Computed tomography of the spine — sagittal reformat — bone-window reconstruction
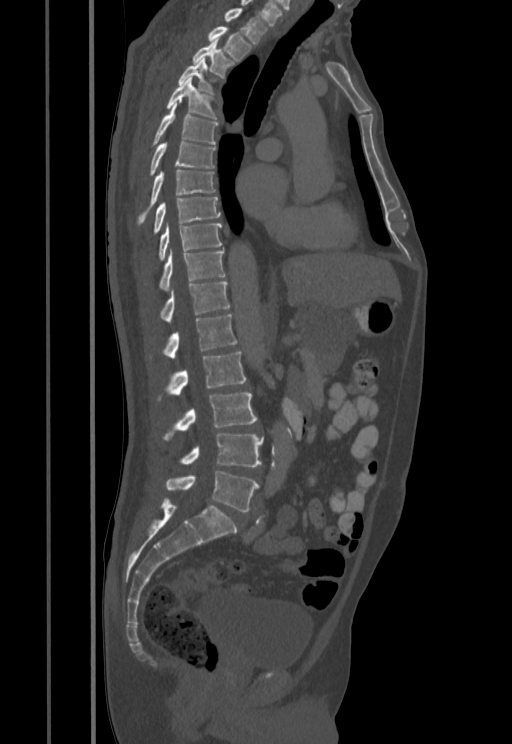

Each row gives a vertebra's box as x1, y1, x2, y2 in pixels: top-left corner, then bottom-right corner.
| vertebra | x1 | y1 | x2 | y2 |
|---|---|---|---|---|
| T1 | 225 | 8 | 268 | 44 |
| T2 | 208 | 27 | 251 | 59 |
| T3 | 192 | 38 | 234 | 76 |
| T4 | 178 | 59 | 216 | 93 |
| T5 | 166 | 77 | 216 | 119 |
| T6 | 153 | 104 | 217 | 144 |
| T7 | 150 | 142 | 215 | 173 |
| T8 | 139 | 169 | 215 | 223 |
| T9 | 154 | 197 | 221 | 232 |
| T10 | 159 | 224 | 222 | 259 |
| T11 | 160 | 249 | 225 | 290 |
| T12 | 161 | 281 | 230 | 323 |
| L1 | 163 | 314 | 236 | 358 |
| L2 | 166 | 352 | 245 | 396 |
| L3 | 163 | 392 | 257 | 441 |
| L4 | 180 | 433 | 263 | 467 |
| L5 | 165 | 471 | 259 | 511 |